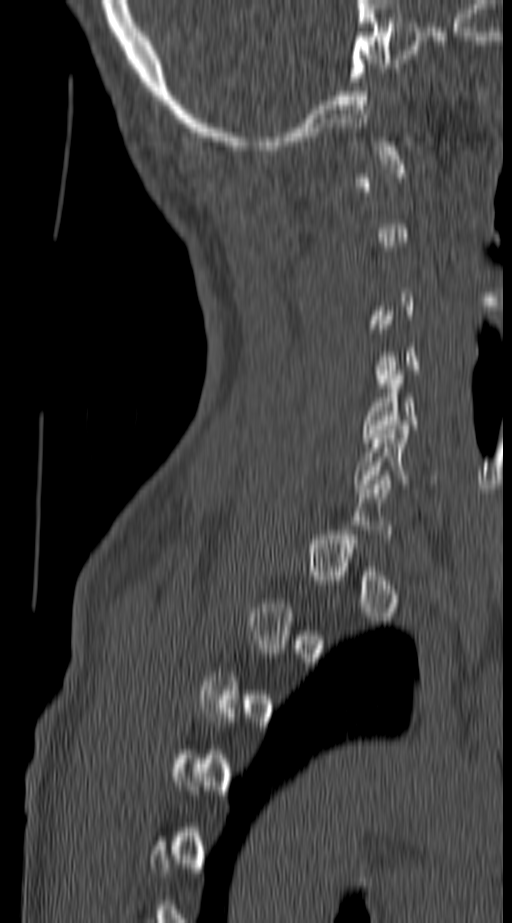 Spine CT · sagittal view · bone window
Boxes: x1 y1 x2 y2 (pixel coords, space-separated). Each vertebra is boxed only on the slices from the first to the last where its cross-section reaches a third of its largest, so a slice outside that range leaves it unboxed. The labeled vertebrae in this slice are: C5 at 362 370 417 442, C6 at 352 425 437 493.